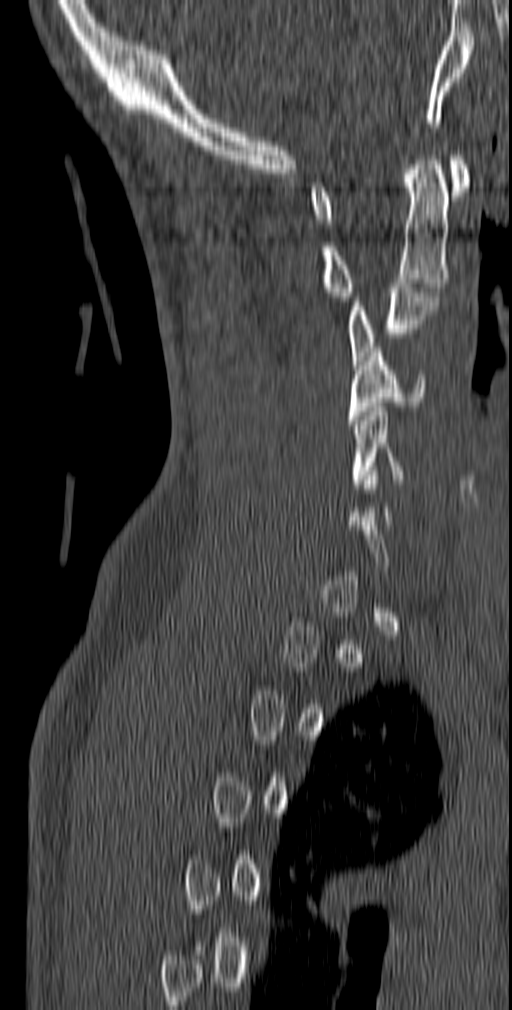 CT · sagittal reformat. Box edges are left/top/right/bottom in pixels.
A vertebra gets a box only on the slices from the first to the last where its cross-section is at least a third of its largest; on a slice outside that range it gets none.
C1: left=309, top=155, right=470, bottom=223
C2: left=322, top=151, right=449, bottom=301
C3: left=349, top=283, right=439, bottom=369
C4: left=347, top=347, right=427, bottom=424
C5: left=351, top=407, right=404, bottom=488